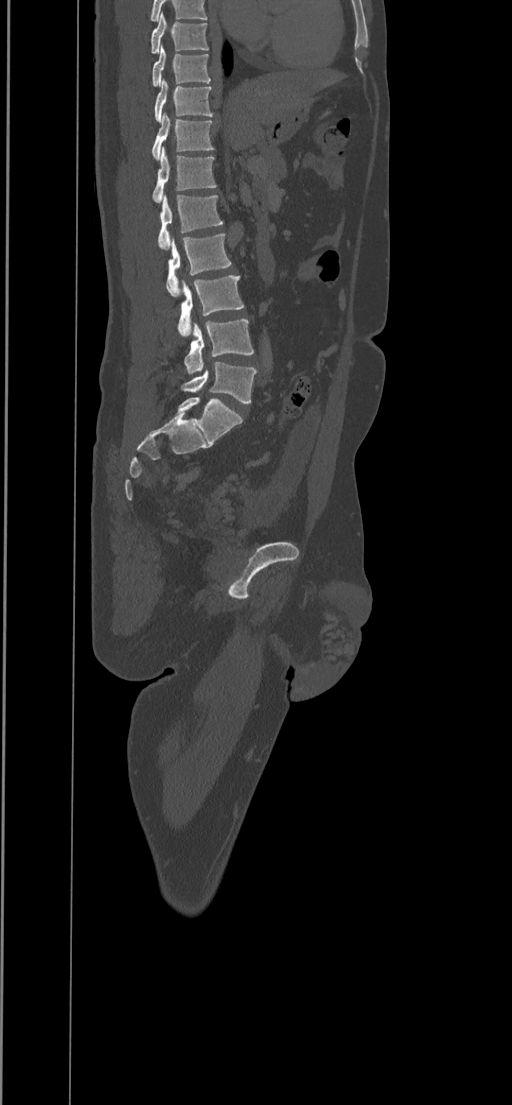
CT, spine · sagittal view · 512x1105 px
Boxes: x1:y1:x2:y2 in pixels.
The highest labeled vertebra in this scan is T8; the lowest is L5.
Vertebra bounding boxes:
- T8: 151:13:208:53
- T9: 151:45:210:86
- T10: 154:80:212:122
- T11: 152:114:215:160
- T12: 152:147:217:203
- L1: 158:194:223:249
- L2: 166:234:231:296
- L3: 178:275:244:337
- L4: 183:319:254:373
- L5: 182:362:256:402